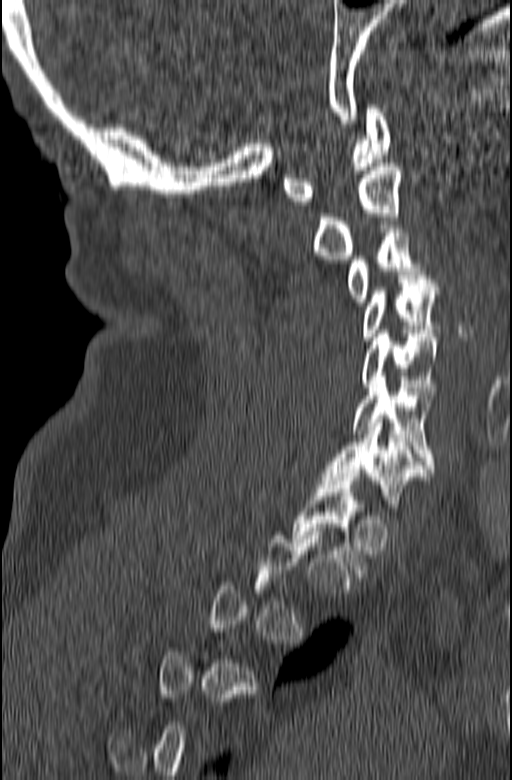
CT, spine. sagittal view. Box edges are left/top/right/bottom in pixels. A vertebra gets a box only on the slices from the first to the last where its cross-section is at least a third of its largest; on a slice outside that range it gets none. 7 vertebrae labeled — C1 at left=283, top=105, right=391, bottom=205; C2 at left=314, top=163, right=400, bottom=259; C3 at left=348, top=225, right=426, bottom=305; C4 at left=361, top=275, right=438, bottom=340; C5 at left=361, top=330, right=438, bottom=399; C6 at left=352, top=376, right=434, bottom=468; C7 at left=321, top=419, right=434, bottom=507.